CT, spine; sagittal view; 512x923 px
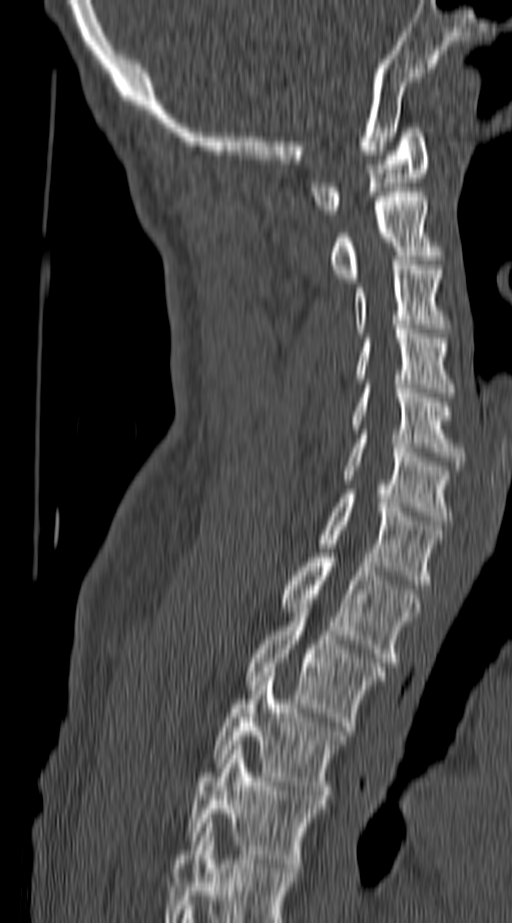
Each vertebra maps to its box as [x1, y1, x2, y2], the pixel coordinates of its top-left and bottom-right corners.
In this scan, the topmost labeled vertebra is C1 and the lowest is T4.
{"vertebrae":{"C1":[312,128,428,214],"C2":[330,192,439,282],"C3":[354,261,447,333],"C4":[356,329,454,397],"C5":[352,384,465,465],"C6":[341,434,450,525],"C7":[320,494,443,584],"T1":[279,553,421,666],"T2":[246,613,384,730],"T3":[213,672,348,799],"T4":[188,745,326,868]}}